CT spine · sagittal reformat · the image spans 391 mm across · Bone window (WL 400, WW 1800)
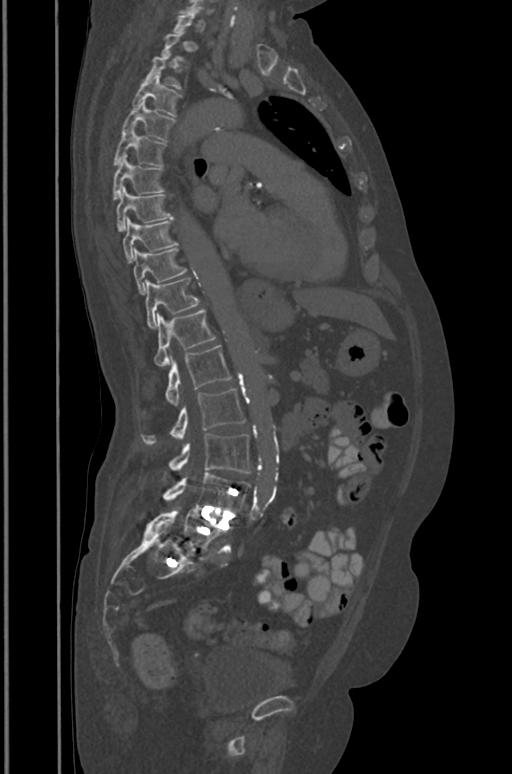
Each vertebra is boxed only on the slices from the first to the last where its cross-section reaches a third of its largest, so a slice outside that range leaves it unboxed.
<vertebrae><v name="T3" x1="145" y1="53" x2="181" y2="89"/><v name="T4" x1="132" y1="72" x2="181" y2="116"/><v name="T5" x1="122" y1="101" x2="174" y2="139"/><v name="T6" x1="114" y1="127" x2="165" y2="166"/><v name="T7" x1="113" y1="155" x2="164" y2="199"/><v name="T8" x1="116" y1="187" x2="172" y2="231"/><v name="T9" x1="123" y1="218" x2="177" y2="262"/><v name="T10" x1="134" y1="248" x2="186" y2="295"/><v name="T11" x1="145" y1="277" x2="198" y2="327"/><v name="T12" x1="154" y1="310" x2="215" y2="367"/><v name="L1" x1="165" y1="345" x2="231" y2="406"/><v name="L2" x1="141" y1="389" x2="245" y2="444"/><v name="L3" x1="169" y1="433" x2="250" y2="473"/><v name="L4" x1="164" y1="472" x2="250" y2="513"/><v name="L5" x1="147" y1="507" x2="226" y2="550"/></vertebrae>